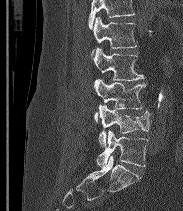

Spine computed tomography · sagittal view · the image is 183 mm wide
Vertebrae that run past the top of the scan are left unlabeled.
These labels give the spine a sixth lumbar vertebra, L6, below L5.
<vertebrae><v name="L2" x1="92" y1="17" x2="136" y2="55"/><v name="L3" x1="93" y1="47" x2="144" y2="81"/><v name="L4" x1="93" y1="79" x2="146" y2="123"/><v name="L5" x1="98" y1="105" x2="150" y2="147"/><v name="L6" x1="96" y1="130" x2="147" y2="167"/></vertebrae>